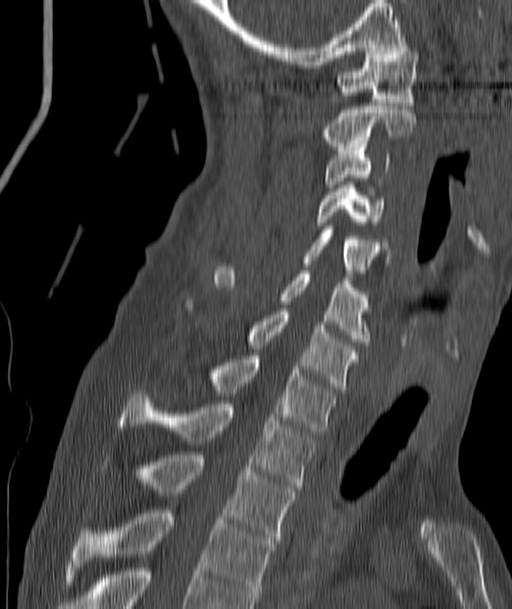
Computed tomography of the spine. sagittal view. W/L 1800/400 HU

Box edges are left/top/right/bottom in pixels. The labeled vertebrae in this slice are: T4 at left=72, top=510, right=274, bottom=601, T3 at left=99, top=452, right=296, bottom=543, T2 at left=119, top=390, right=315, bottom=488, T1 at left=206, top=356, right=337, bottom=434, C7 at left=184, top=298, right=359, bottom=389, C6 at left=214, top=267, right=369, bottom=345, C5 at left=302, top=229, right=389, bottom=276, C4 at left=316, top=185, right=383, bottom=228, C3 at left=324, top=147, right=389, bottom=187, C2 at left=321, top=106, right=416, bottom=150, C1 at left=338, top=44, right=419, bottom=105.